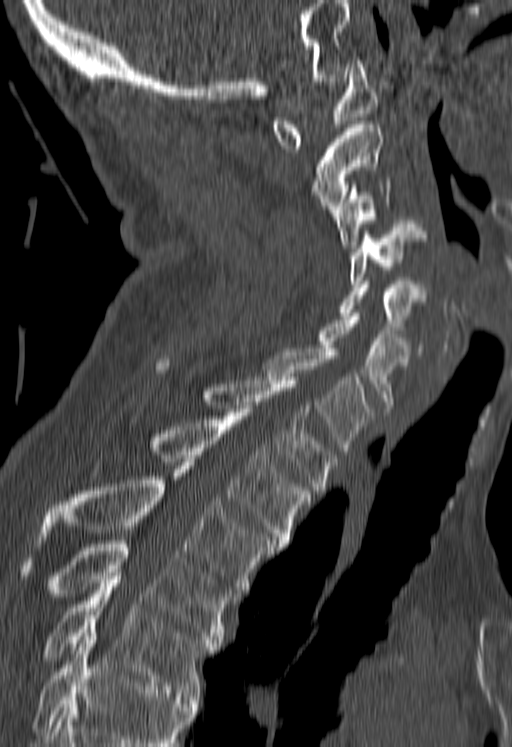
Spine computed tomography. sagittal view. W/L 1800/400 HU. Bounding boxes as [x1, y1, x2, y2] in pixel coordinates.
Where the bottom of the scan cuts through a vertebra, that vertebra gets no label or box.
C1: [272, 57, 377, 152]
C2: [312, 124, 381, 212]
C3: [334, 181, 390, 248]
C4: [351, 220, 426, 283]
C5: [339, 281, 425, 333]
C6: [319, 313, 411, 411]
C7: [263, 348, 373, 454]
T1: [155, 359, 336, 493]
T2: [152, 412, 313, 547]
T3: [39, 466, 273, 596]
T4: [21, 540, 230, 646]
T5: [44, 580, 216, 699]